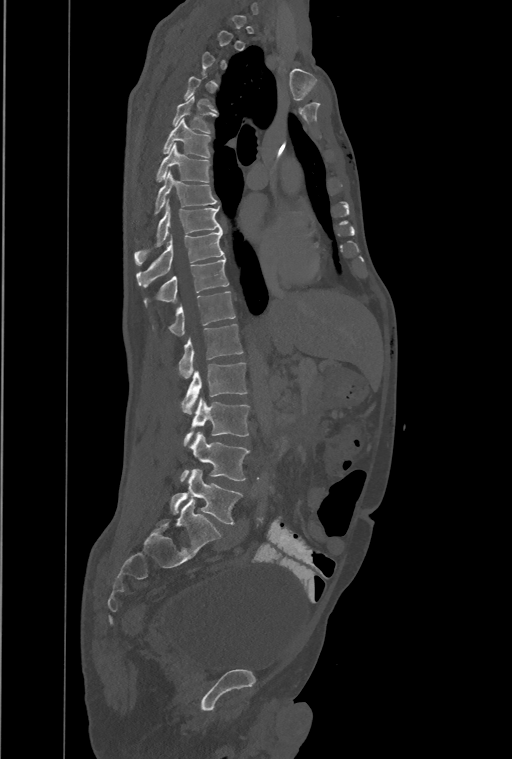

CT spine · the image spans 461 mm across · sagittal view · bone-window reconstruction · 512x759 px
Bounding boxes as [x1, y1, x2, y2] in pixel coordinates.
A vertebra is boxed only from the first to the last slice where its cross-section is at least a third of its largest; slices outside that range leave it without a box.
In this scan, the topmost labeled vertebra is T1 and the lowest is L4.
The labels name an extra thoracic vertebra here, T13, which comes after T12 and before L1.
T5: [173, 95, 216, 133]
T6: [163, 119, 210, 157]
T7: [156, 144, 210, 181]
T8: [155, 171, 218, 213]
T9: [134, 199, 221, 264]
T10: [136, 230, 224, 287]
T11: [144, 257, 228, 307]
T12: [152, 291, 235, 335]
T13: [178, 324, 243, 378]
L1: [182, 362, 246, 415]
L2: [184, 398, 249, 446]
L3: [181, 432, 249, 481]
L4: [171, 469, 242, 524]